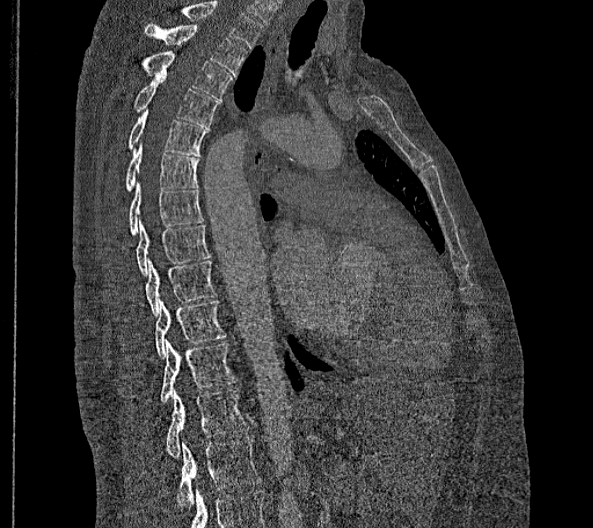
Spine CT; sagittal view

Bounding boxes as [x1, y1, x2, y2] in pixel coordinates. In this scan, the topmost labeled vertebra is T2 and the lowest is L2. In these labels the spine has no T12: the thoracic vertebrae end at T11, and L1 comes next. The labeled vertebrae in this slice are: T2 at [145, 23, 247, 76], T3 at [139, 52, 231, 99], T4 at [131, 74, 219, 126], T5 at [126, 109, 210, 156], T6 at [125, 143, 198, 191], T7 at [129, 183, 204, 236], T8 at [134, 217, 210, 276], T9 at [145, 258, 216, 315], T10 at [155, 298, 227, 358], T11 at [160, 339, 237, 402], L1 at [167, 388, 249, 457], L2 at [176, 437, 262, 511].